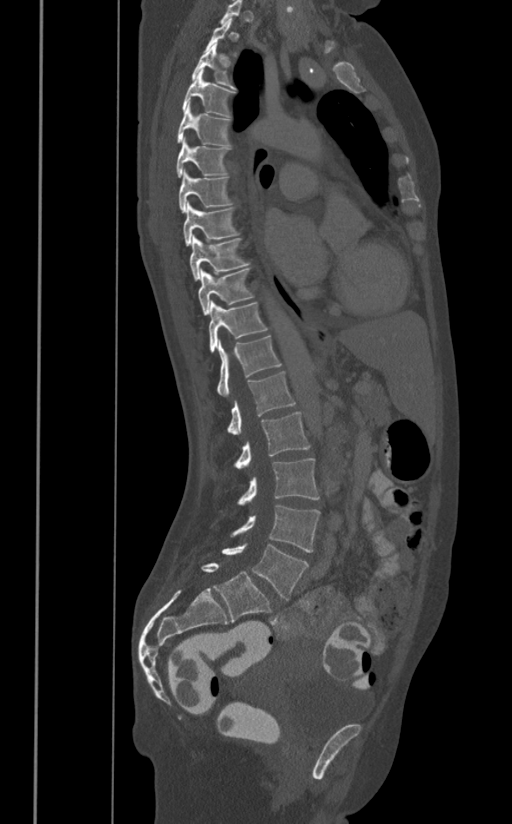
CT — sagittal reformat — 512x824 px
Boxes are (x1, y1, x2, y2) in pixels.
A vertebra is boxed only from the first to the last slice where its cross-section is at least a third of its largest; slices outside that range leave it without a box.
Vertebra bounding boxes:
- T3: (191, 44, 236, 90)
- T4: (183, 70, 235, 117)
- T5: (177, 101, 229, 146)
- T6: (175, 137, 231, 177)
- T7: (178, 170, 232, 212)
- T8: (183, 202, 238, 245)
- T9: (190, 235, 249, 279)
- T10: (198, 269, 254, 315)
- T11: (208, 301, 267, 353)
- T12: (217, 336, 282, 396)
- L1: (228, 371, 295, 434)
- L2: (234, 411, 310, 468)
- L3: (237, 458, 320, 505)
- L4: (230, 504, 320, 552)
- L5: (221, 543, 308, 600)